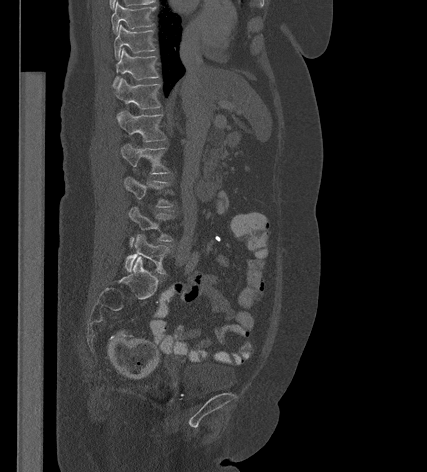
CT. sagittal reformat. bone window
Each box given as x1,y1,x2,y2. Vertebrae labeled: L5 at x1=124, y1=234, x2=170, y2=274, L4 at x1=128, y1=207, x2=173, y2=245, L3 at x1=123, y1=177, x2=173, y2=207, L2 at x1=120, y1=144, x2=169, y2=173, L1 at x1=117, y1=111, x2=165, y2=141, T12 at x1=113, y1=78, x2=160, y2=109, T11 at x1=114, y1=48, x2=158, y2=85, T10 at x1=114, y1=25, x2=155, y2=58, T9 at x1=111, y1=2, x2=154, y2=33.